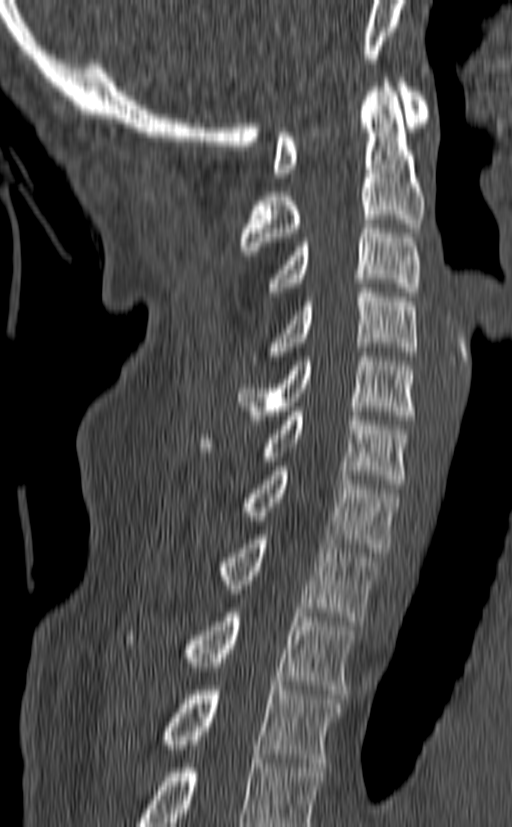

Spine computed tomography — sagittal reformat — 140 mm image width

Each row gives a vertebra's box as x1, y1, x2, y2 in pixels: top-left corner, then bottom-right corner.
Labels in this scan begin with C1 at the top and end with T3 at the bottom.
| vertebra | x1 | y1 | x2 | y2 |
|---|---|---|---|---|
| C1 | 272 | 78 | 428 | 177 |
| C2 | 240 | 78 | 425 | 250 |
| C3 | 268 | 219 | 421 | 296 |
| C4 | 254 | 288 | 417 | 365 |
| C5 | 237 | 352 | 416 | 424 |
| C6 | 199 | 407 | 410 | 488 |
| C7 | 246 | 466 | 399 | 552 |
| T1 | 221 | 535 | 377 | 621 |
| T2 | 125 | 608 | 355 | 694 |
| T3 | 162 | 686 | 340 | 767 |